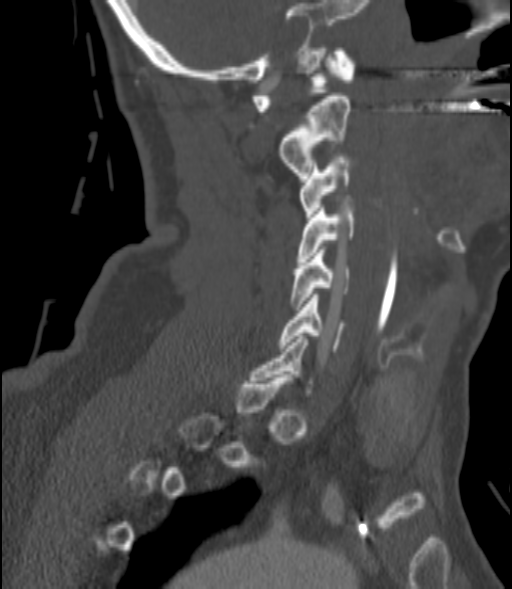
CT, spine — image width 200 mm — sagittal view
Coordinates as <box>x1,y1,x2,y2</box>.
A vertebra is boxed only from the first to the last slice where its cross-section is at least a third of its largest; slices outside that range leave it without a box.
Vertebra bounding boxes:
- C1: <box>252,48,355,111</box>
- C2: <box>280,96,351,178</box>
- C3: <box>300,154,351,220</box>
- C4: <box>297,202,356,261</box>
- C5: <box>290,250,351,309</box>
- C6: <box>279,294,343,351</box>